Spine computed tomography. sagittal view. W/L 1800/400 HU. 140 mm across the image
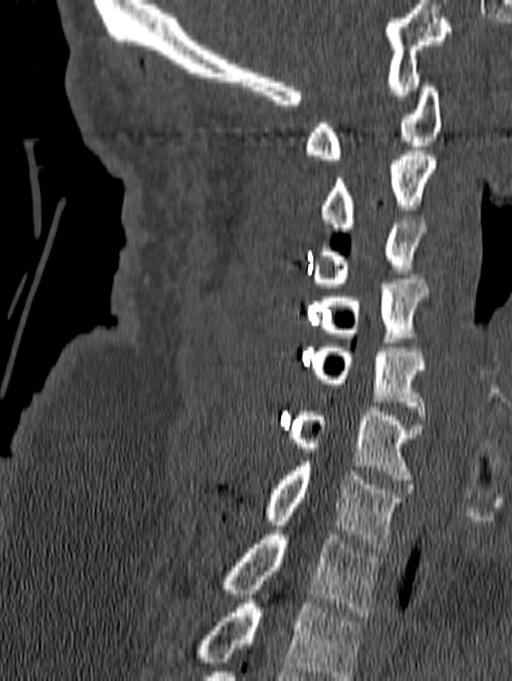 Boxes are (x1, y1, x2, y2) in pixels. In this scan, the topmost labeled vertebra is C1 and the lowest is T1. 8 vertebrae labeled — C1 at (304, 82, 441, 159); C2 at (320, 151, 436, 232); C3 at (309, 215, 427, 287); C4 at (318, 279, 428, 342); C5 at (309, 343, 425, 420); C6 at (288, 407, 422, 484); C7 at (261, 462, 403, 548); T1 at (217, 535, 381, 616).